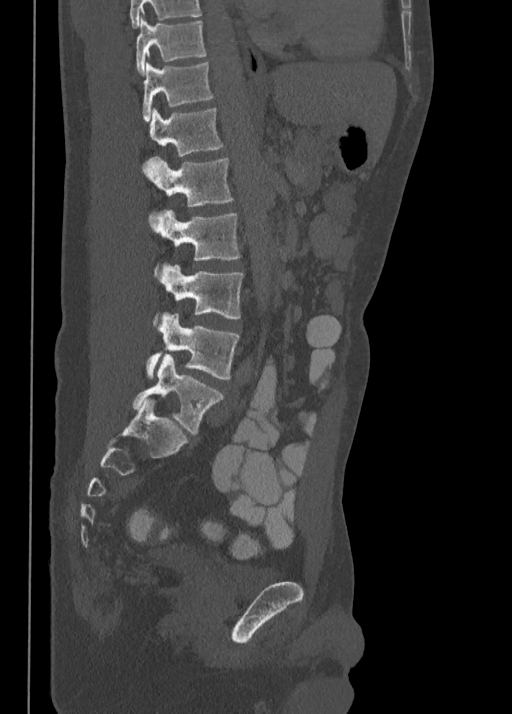 CT, spine. sagittal view. Boxes: x1 y1 x2 y2 (pixel coords, space-separated).
This scan's labels start at T10 at the top and end at L5 at the bottom.
Vertebra bounding boxes:
- T10: 136 20 206 73
- T11: 142 62 212 121
- T12: 143 108 224 168
- L1: 145 157 233 223
- L2: 153 211 240 277
- L3: 153 263 243 324
- L4: 146 313 239 379
- L5: 133 354 224 433